CT, spine — sagittal view — 18 vertebrae labeled in this scan — 194 mm across the image
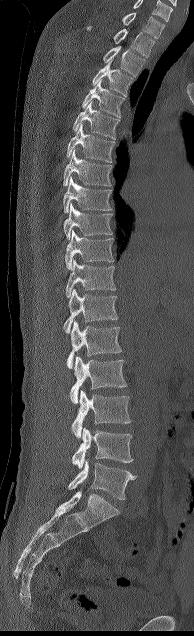 Boxes: x1 y1 x2 y2 (pixel coords, space-separated).
This scan's labels start at C7 at the top and end at L5 at the bottom.
C7: 122 12 164 38
T1: 87 25 154 57
T2: 103 46 144 76
T3: 92 59 132 95
T4: 82 79 125 116
T5: 73 101 119 139
T6: 66 123 114 162
T7: 63 149 111 186
T8: 63 176 113 213
T9: 63 203 112 239
T10: 65 230 112 269
T11: 65 259 116 297
T12: 63 289 118 333
L1: 67 321 121 368
L2: 70 356 126 403
L3: 71 390 131 438
L4: 72 427 133 469
L5: 68 459 136 499